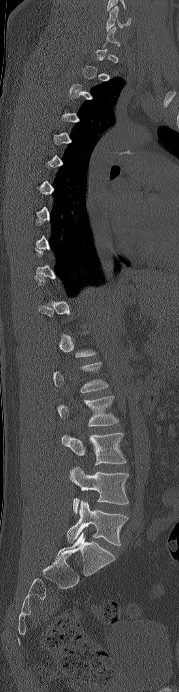 CT spine — sagittal view — bone window — 179x692 px
Each box given as x1,y1,x2,y2. A vertebra gets a box only on the slices from the first to the last where its cross-section is at least a third of its largest; on a slice outside that range it gets none. Vertebrae labeled: C6 at x1=106, y1=6, x2=132, y2=31, L2 at x1=57, y1=396, x2=118, y2=426, L3 at x1=62, y1=432, x2=126, y2=464, L4 at x1=69, y1=467, x2=128, y2=513, L5 at x1=67, y1=500, x2=128, y2=546.